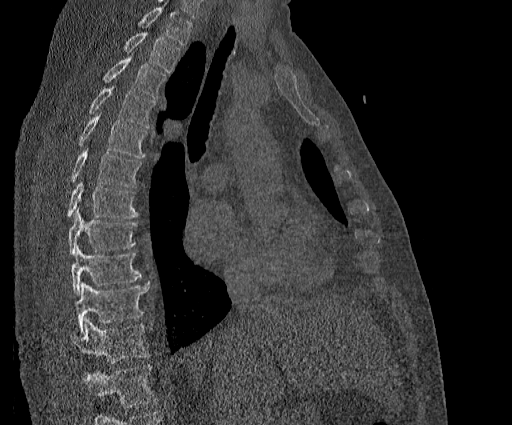

CT · sagittal reformat · bone window · 512x425 px
Each row gives a vertebra's box as x1, y1, x2, y2 in pixels: top-left corner, then bottom-right corner.
No box is given to a vertebra that the top edge of the scan cuts off.
Labels in this scan begin with T2 at the top and end with T11 at the bottom.
| vertebra | x1 | y1 | x2 | y2 |
|---|---|---|---|---|
| T11 | 69 | 319 | 149 | 364 |
| T10 | 74 | 283 | 148 | 331 |
| T9 | 70 | 245 | 141 | 294 |
| T8 | 68 | 208 | 137 | 254 |
| T7 | 66 | 181 | 137 | 218 |
| T6 | 70 | 148 | 141 | 187 |
| T5 | 78 | 112 | 147 | 158 |
| T4 | 89 | 85 | 155 | 127 |
| T3 | 104 | 51 | 167 | 99 |
| T2 | 124 | 32 | 180 | 72 |